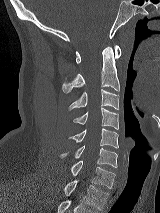 CT spine · sagittal view · 160x213 px · 160 mm wide
In the table, x1 and y1 are a box's top-left corner and x2 and y2 its bottom-right corner, in pixels.
| vertebra | x1 | y1 | x2 | y2 |
|---|---|---|---|---|
| C1 | 75 | 45 | 121 | 63 |
| C2 | 62 | 47 | 119 | 93 |
| C3 | 69 | 89 | 119 | 110 |
| C4 | 73 | 107 | 118 | 129 |
| C5 | 69 | 128 | 118 | 148 |
| C6 | 61 | 145 | 117 | 167 |
| C7 | 71 | 160 | 115 | 188 |
| T1 | 64 | 180 | 108 | 210 |